Computed tomography of the spine. sagittal view. bone-window reconstruction. 824x928 px
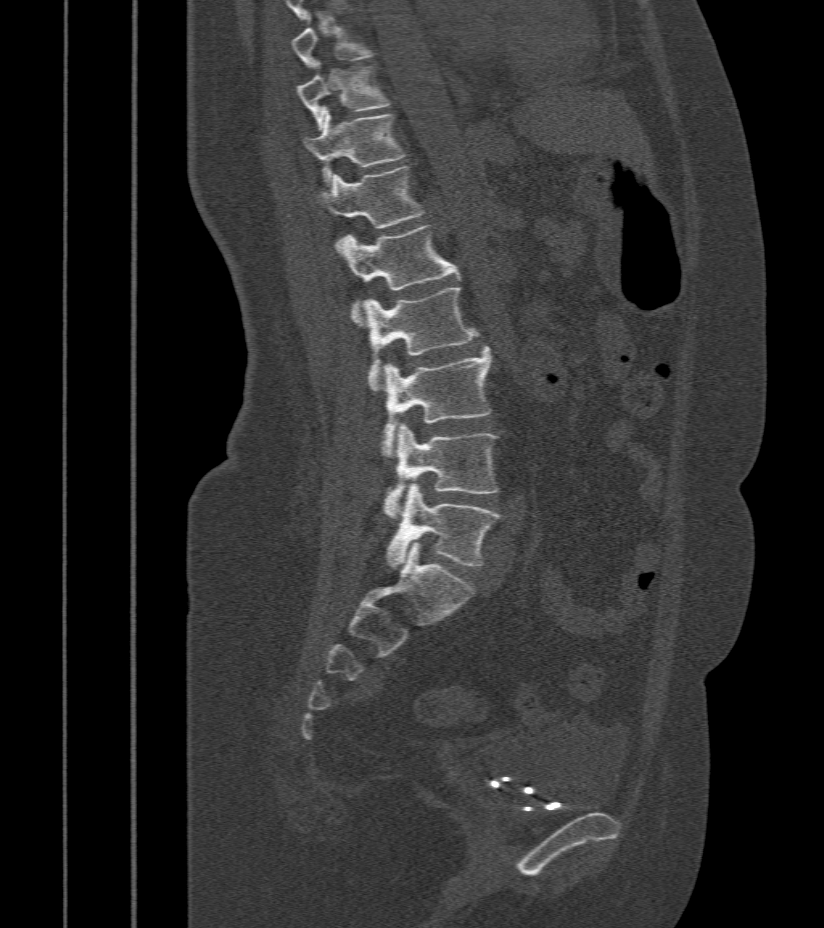
Boxes below are [x1, y1, x2, y2] in pixels.
Each vertebra is boxed only on the slices from the first to the last where its cross-section reaches a third of its largest, so a slice outside that range leaves it unboxed.
{"vertebrae":{"T10":[296,61,388,128],"T11":[304,109,405,180],"T12":[315,167,422,228],"L1":[336,225,459,324],"L2":[364,287,479,392],"L3":[381,347,491,458],"L4":[383,423,496,518],"L5":[386,483,500,568]}}